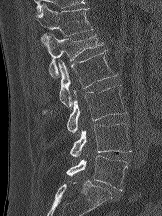
CT, spine; sagittal reformat; W/L 1800/400 HU
Each box is [x1, y1, x2, y2] in pixels: top-left corner, then bottom-right corner.
{"vertebrae":{"L5":[66,155,127,190],"L4":[69,123,131,157],"L3":[66,85,127,132],"L2":[43,50,117,111],"L1":[42,34,104,78],"T12":[37,3,93,41]}}